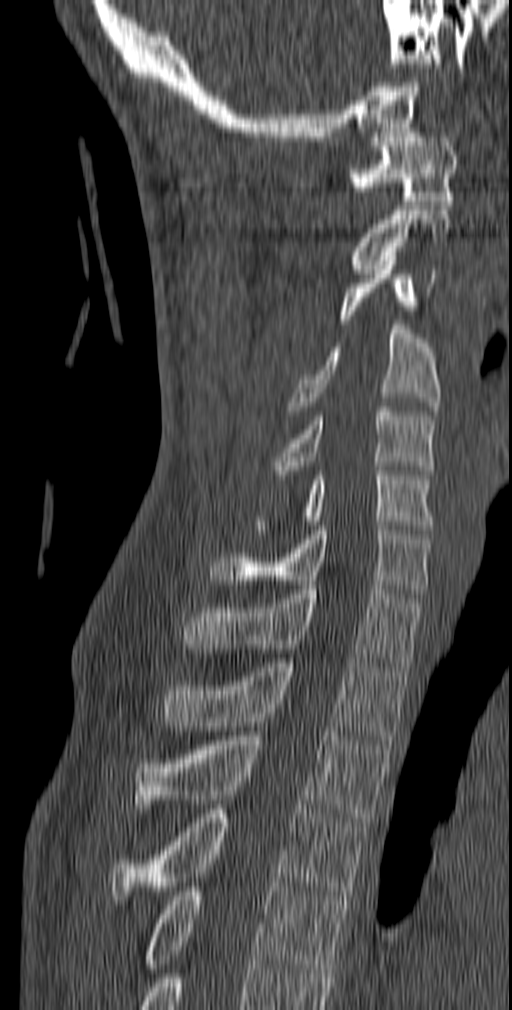 CT spine. 140 mm across the image. sagittal view

Boxes are given in columns x1, y1, x2, y2, the pixel coordinates of their top-left and bottom-right corners.
| vertebra | x1 | y1 | x2 | y2 |
|---|---|---|---|---|
| C1 | 345 | 133 | 457 | 205 |
| C2 | 349 | 210 | 451 | 273 |
| C3 | 338 | 261 | 436 | 324 |
| C4 | 286 | 325 | 440 | 415 |
| C5 | 269 | 407 | 436 | 474 |
| C6 | 257 | 466 | 433 | 534 |
| C7 | 210 | 526 | 431 | 593 |
| T1 | 183 | 585 | 423 | 671 |
| T2 | 161 | 658 | 410 | 740 |
| T3 | 133 | 731 | 390 | 826 |
| T4 | 110 | 809 | 366 | 904 |
| T5 | 143 | 882 | 348 | 973 |